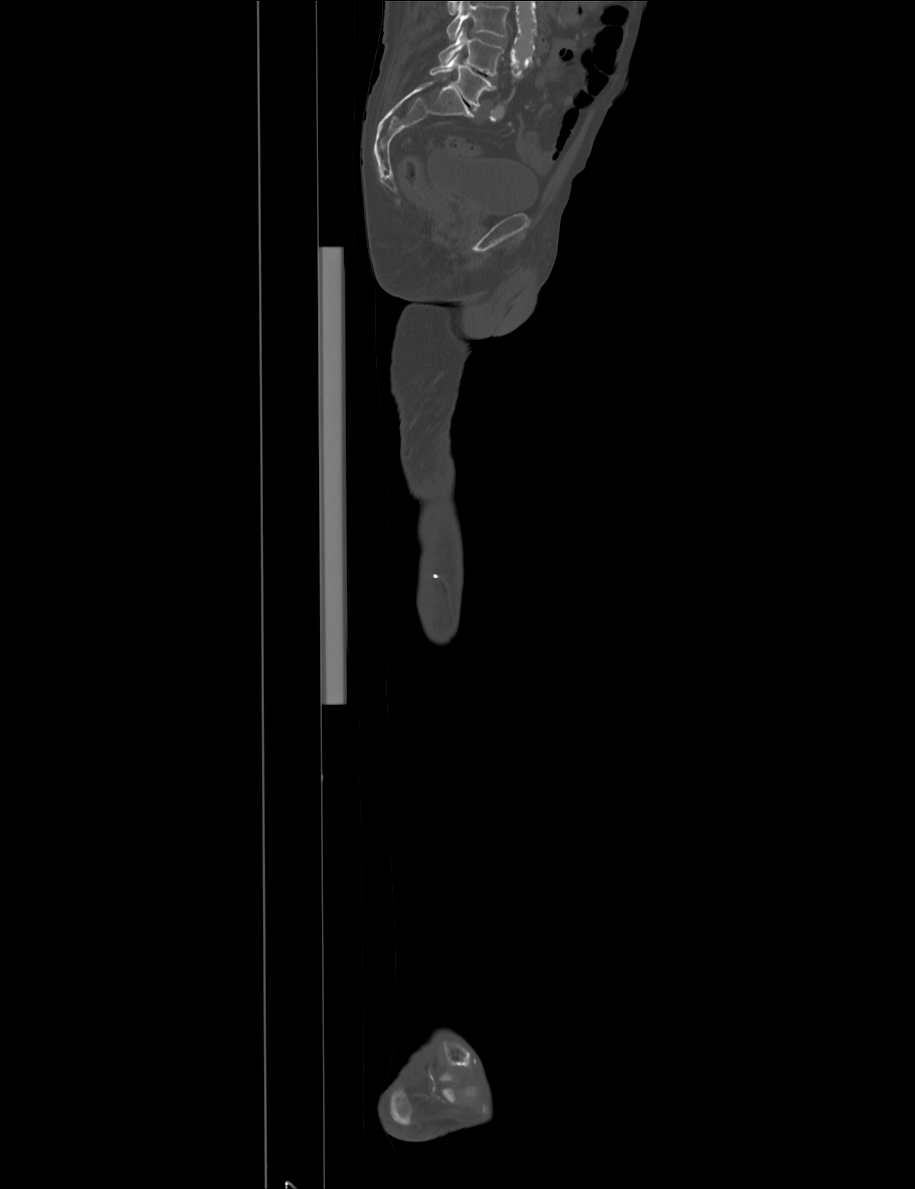
CT · sagittal view · bone-window reconstruction · 915x1189 px · 915 mm across the image

Box edges are left/top/right/bottom in pixels.
No box is given to a vertebra that the top edge of the scan cuts off.
Vertebra bounding boxes:
- L4: left=438, top=27, right=503, bottom=76
- L5: left=429, top=54, right=495, bottom=106